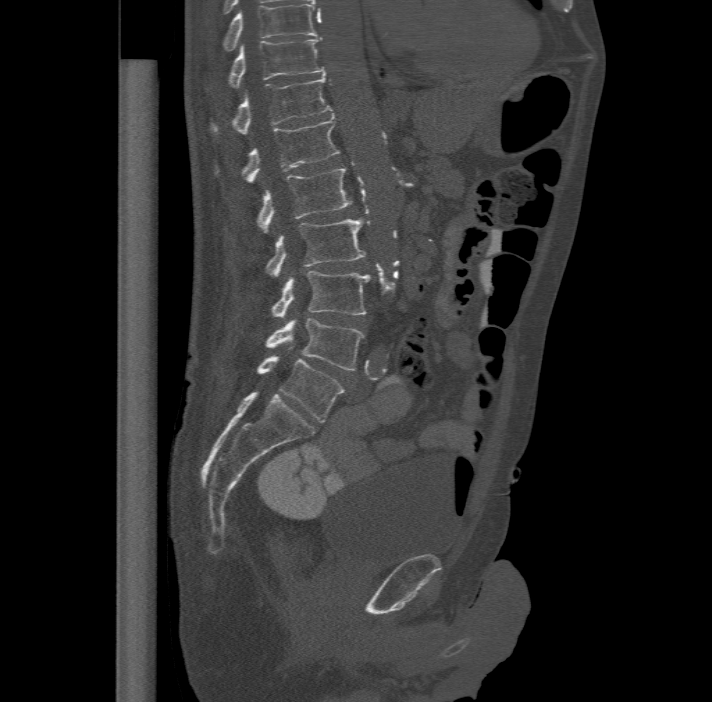

Spine computed tomography. sagittal view. W/L 1800/400 HU. 477 mm across the image. 712x702 px
Each row gives a vertebra's box as x1, y1, x2, y2 in pixels: top-left corner, then bottom-right corner.
This scan's labels start at T11 at the top and end at L6 at the bottom.
In these labels the spine has an L6, a sixth lumbar vertebra below L5.
| vertebra | x1 | y1 | x2 | y2 |
|---|---|---|---|---|
| T11 | 228 | 39 | 324 | 87 |
| T12 | 211 | 73 | 331 | 133 |
| L1 | 242 | 115 | 340 | 181 |
| L2 | 257 | 167 | 351 | 232 |
| L3 | 266 | 218 | 365 | 276 |
| L4 | 271 | 270 | 370 | 317 |
| L5 | 266 | 318 | 363 | 370 |
| L6 | 257 | 348 | 344 | 422 |